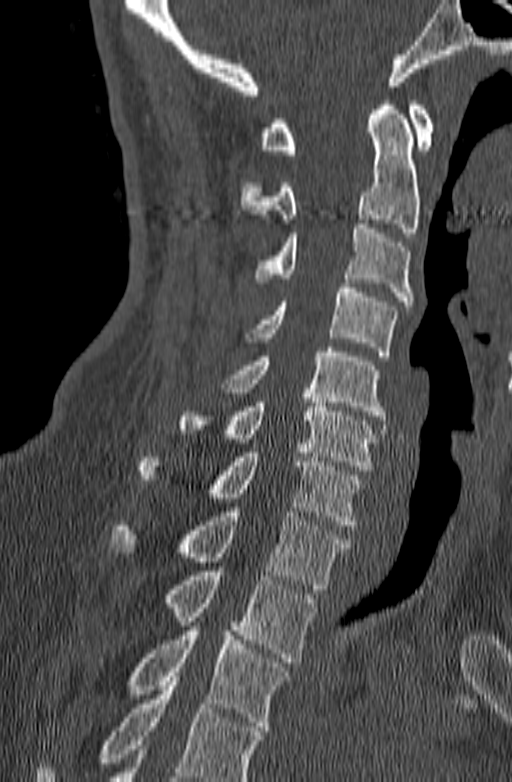
CT spine. sagittal view. bone-window reconstruction
Boxes are (x1, y1, x2, y2) in pixels.
Vertebrae that run past the bottom of the scan are left unlabeled.
Vertebra bounding boxes:
- C1: (261, 101, 434, 154)
- C2: (241, 96, 420, 237)
- C3: (257, 224, 413, 305)
- C4: (246, 283, 397, 356)
- C5: (221, 347, 385, 420)
- C6: (178, 393, 377, 470)
- C7: (137, 448, 362, 529)
- T1: (108, 507, 351, 589)
- T2: (166, 571, 317, 662)
- T3: (125, 626, 289, 730)